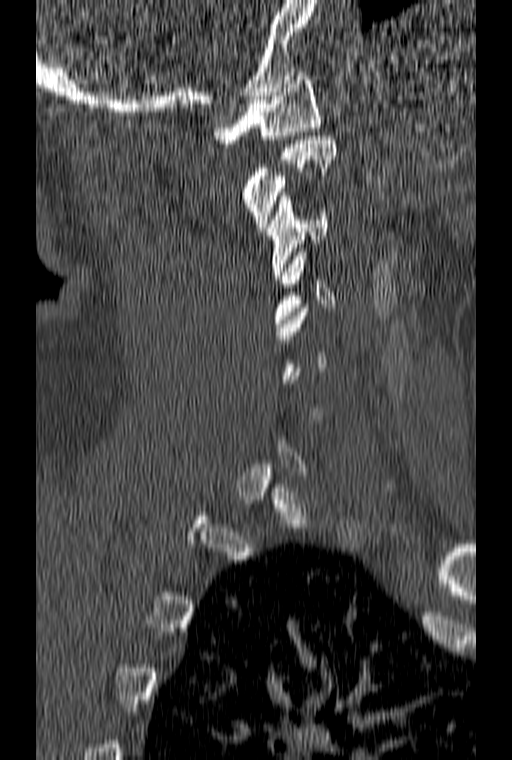
CT; sagittal reformat; W/L 1800/400 HU; 512x760 px
Coordinates as <box>x1,y1,x2,y2</box>.
Each vertebra is boxed only on the slices from the first to the last where its cross-section reaches a third of its largest, so a slice outside that range leaves it unboxed.
Vertebra bounding boxes:
- C1: <box>213,72,320,143</box>
- C2: <box>244,136,336,231</box>
- C3: <box>266,192,327,279</box>